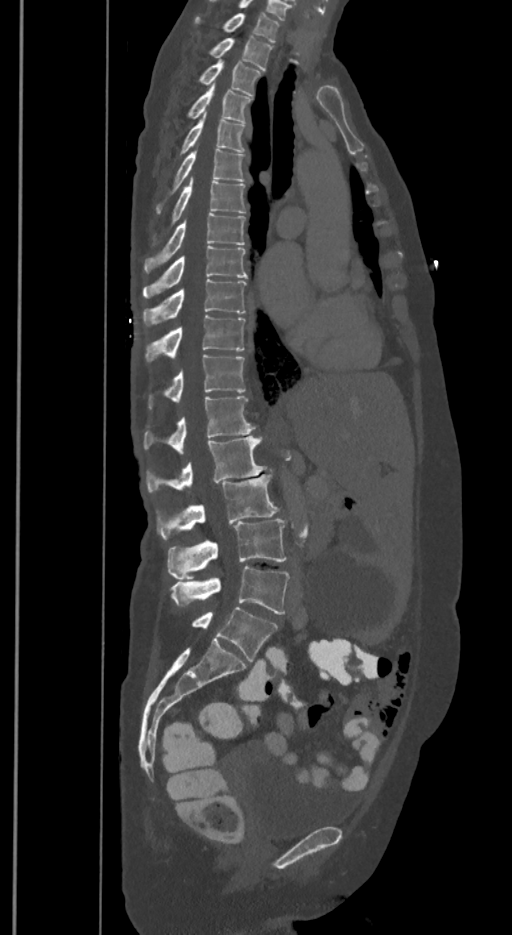
CT spine — sagittal view — the image spans 350 mm across — bone-window reconstruction
Each vertebra maps to its box as [x1, y1, x2, y2], the pixel coordinates of its top-left and bottom-right corners.
In these labels the spine has an L6, a sixth lumbar vertebra below L5.
{"vertebrae":{"L6":[191,607,277,661],"L5":[171,566,288,614],"L4":[168,517,285,580],"L3":[156,474,278,539],"L2":[146,436,265,493],"L1":[143,396,255,453],"T12":[149,354,245,408],"T11":[145,315,245,361],"T10":[143,279,246,326],"T9":[143,246,246,298],"T8":[145,212,245,273],"T7":[153,178,246,243],"T6":[156,149,245,212],"T5":[180,115,246,154],"T4":[187,87,252,121],"T3":[199,61,261,95],"T2":[209,37,272,71],"T1":[194,13,278,42]}}